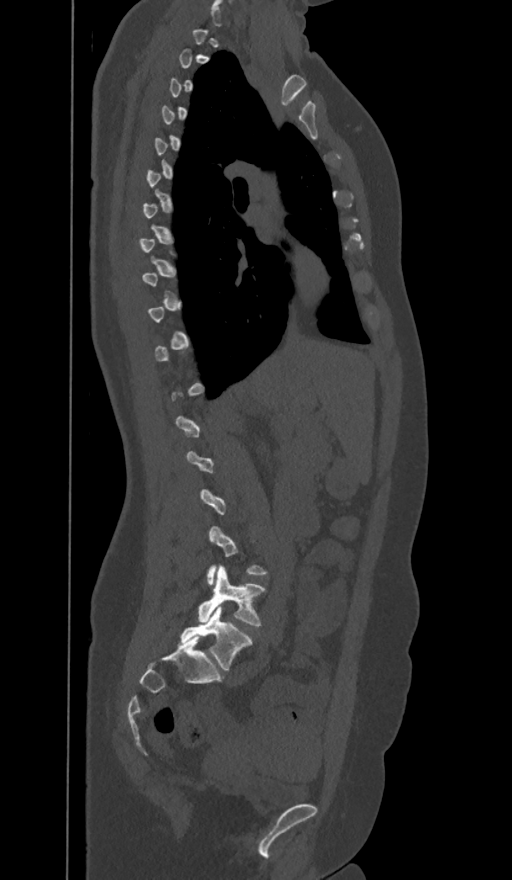

Computed tomography of the spine — sagittal view — Bone window (WL 400, WW 1800)
Each box is [x1, y1, x2, y2] in pixels: top-left corner, then bottom-right corner.
Not every vertebra on this slice has a box: a vertebra is boxed only from the first to the last slice where its cross-section is at least a third of its largest, and this slice is outside that range for at least one of them.
These labels give the spine a sixth lumbar vertebra, L6, below L5.
{"vertebrae":{"L6":[177,606,252,670],"L5":[198,566,264,626]}}